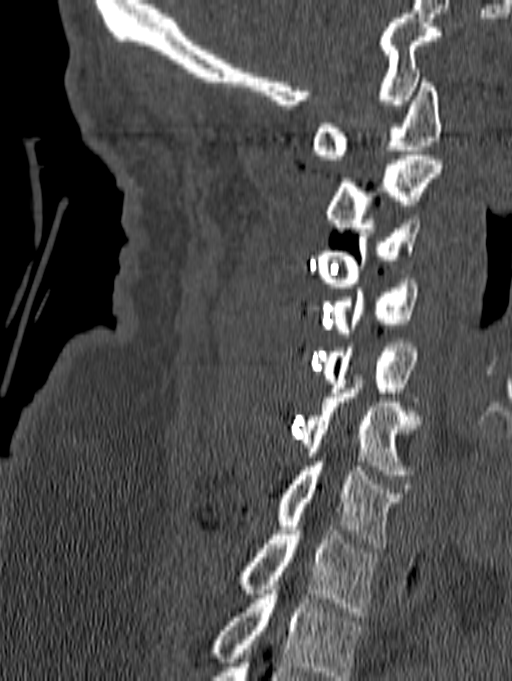 Computed tomography of the spine — sagittal reformat — image width 140 mm — bone-window reconstruction — 512x681 px

Coordinates as <box>x1,y1,x2,y2</box>.
This scan's labels start at C1 at the top and end at T1 at the bottom.
T1: <box>235,530,377,616</box>
C7: <box>276,457,403,548</box>
C6: <box>298,379,422,479</box>
C5: <box>321,343,418,401</box>
C4: <box>331,279,418,337</box>
C3: <box>316,215,420,287</box>
C2: <box>325,155,442,232</box>
C1: <box>311,78,441,159</box>